Spine CT — 160 mm image width — sagittal view — bone-window reconstruction — 512x760 px — scan covers 10 annotated vertebrae
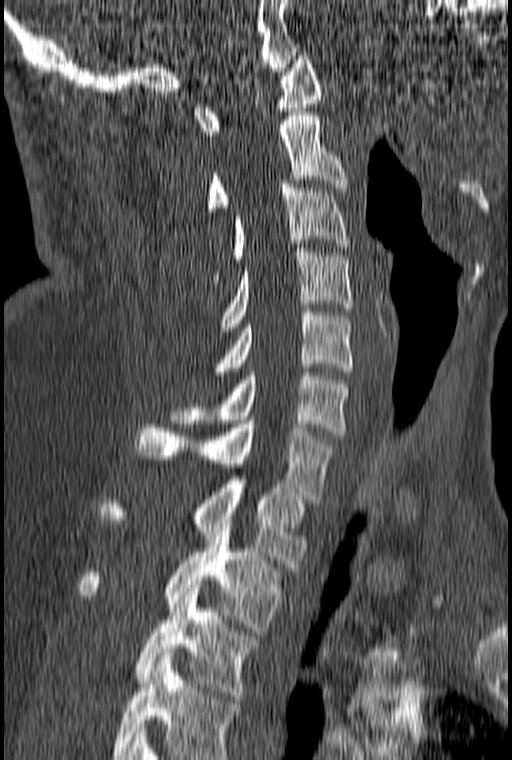

Each vertebra maps to its box as [x1, y1, x2, y2], the pixel coordinates of its top-left and bottom-right corners.
This scan's labels start at C1 at the top and end at T3 at the bottom.
{"vertebrae":{"T3":[136,584,256,699],"T2":[78,524,279,631],"T1":[100,480,309,567],"C7":[136,420,333,499],"C6":[170,372,349,435],"C5":[212,308,352,371],"C4":[220,248,352,327],"C3":[210,184,349,283],"C2":[206,112,348,215],"C1":[194,56,322,135]}}